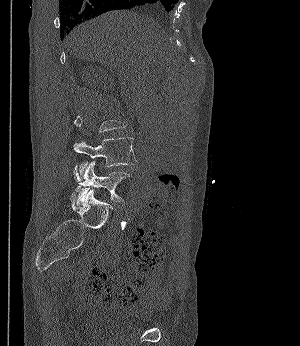

CT spine — sagittal view — bone window
Not every vertebra on this slice has a box: a vertebra is boxed only from the first to the last slice where its cross-section is at least a third of its largest, and this slice is outside that range for at least one of them.
<vertebrae><v name="L5" x1="73" y1="161" x2="130" y2="203"/><v name="L4" x1="73" y1="137" x2="137" y2="178"/></vertebrae>